CT; sagittal view; image width 221 mm; part of the image has been replaced by a constant value
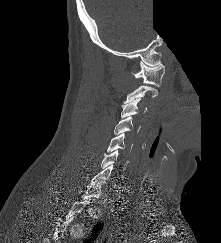

Box edges are left/top/right/bottom in pixels.
A vertebra is boxed only from the first to the last slice where its cross-section is at least a third of its largest; slices outside that range leave it without a box.
Vertebra bounding boxes:
- C1: left=131, top=61, right=164, bottom=86
- C2: left=123, top=85, right=158, bottom=103
- C3: left=121, top=98, right=147, bottom=117
- C4: left=114, top=116, right=140, bottom=134
- C5: left=107, top=133, right=133, bottom=152
- C6: left=101, top=150, right=128, bottom=170
- C7: left=90, top=164, right=117, bottom=187